CT spine; 361 mm across the image; sagittal view; W/L 1800/400 HU
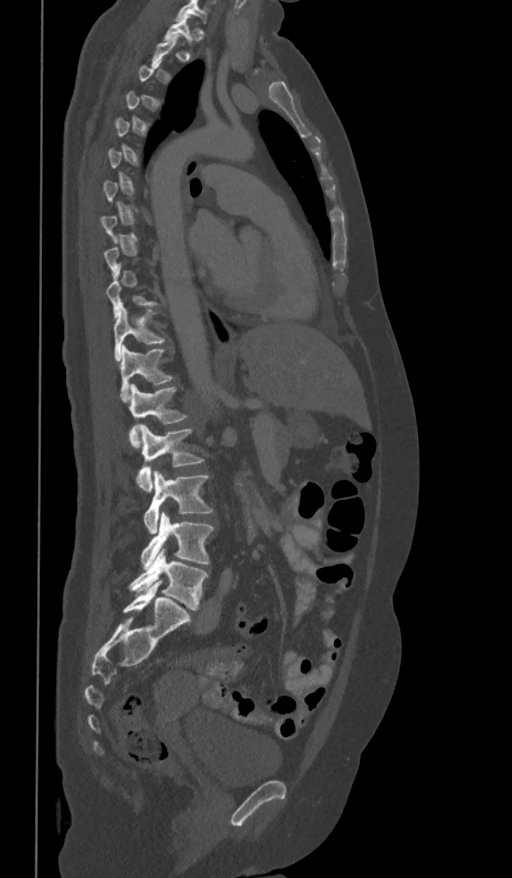

Boxes below are [x1, y1, x2, y2] in pixels.
A vertebra gets a box only on the slices from the first to the last where its cross-section is at least a third of its largest; on a slice outside that range it gets none.
{"vertebrae":{"T11":[113,304,165,360],"T12":[120,345,171,401],"L1":[129,383,189,447],"L2":[136,425,204,492],"L3":[143,471,213,534],"L4":[140,512,214,568],"L5":[129,548,207,609]}}